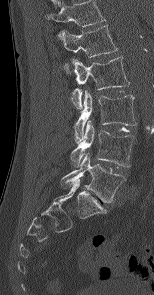 CT, spine; sagittal view; 154 mm image width
Boxes: x1 y1 x2 y2 (pixel coords, space-separated). This scan's labels start at L1 at the top and end at L5 at the bottom. 5 vertebrae labeled — L1 at 59 25 118 57; L2 at 64 56 129 109; L3 at 74 90 136 143; L4 at 70 120 134 167; L5 at 61 153 126 202.